CT · sagittal reformat · 512x681 px
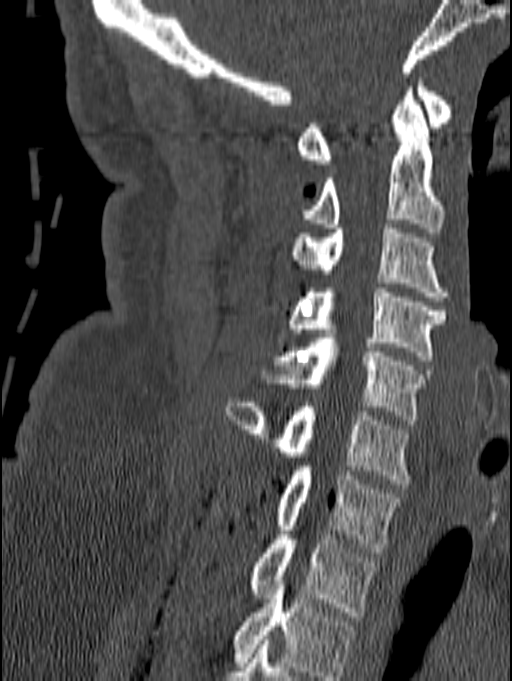
This scan's labels start at C1 at the top and end at T1 at the bottom.
<vertebrae><v name="C1" x1="296" y1="78" x2="452" y2="164"/><v name="C2" x1="303" y1="87" x2="443" y2="232"/><v name="C3" x1="290" y1="224" x2="451" y2="301"/><v name="C4" x1="290" y1="288" x2="447" y2="360"/><v name="C5" x1="261" y1="338" x2="430" y2="424"/><v name="C6" x1="225" y1="398" x2="409" y2="484"/><v name="C7" x1="276" y1="462" x2="399" y2="552"/><v name="T1" x1="250" y1="526" x2="378" y2="616"/></vertebrae>